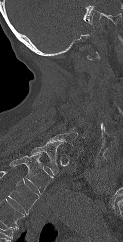
Computed tomography of the spine — sagittal view — 123x242 px. Bounding boxes as [x1, y1, x2, y2] in pixel coordinates. A vertebra gets a box only on the slices from the first to the last where its cross-section is at least a third of its largest; on a slice outside that range it gets none. Labels in this scan begin with C1 at the top and end with T1 at the bottom. 2 vertebrae labeled — T1 at [31, 143, 64, 175]; C7 at [47, 132, 77, 145].